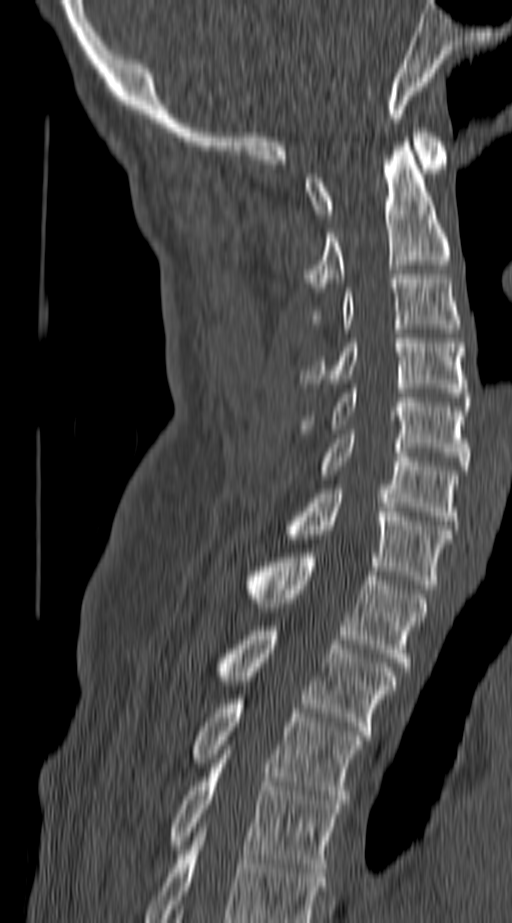 CT spine — sagittal view — bone window — 512x923 px

The highest labeled vertebra in this scan is C1; the lowest is T4.
<vertebrae><v name="T4" x1="170" y1="754" x2="340" y2="872"/><v name="T3" x1="192" y1="699" x2="362" y2="804"/><v name="T2" x1="217" y1="626" x2="395" y2="735"/><v name="T1" x1="246" y1="553" x2="425" y2="671"/><v name="C7" x1="287" y1="489" x2="450" y2="589"/><v name="C6" x1="320" y1="434" x2="457" y2="525"/><v name="C5" x1="301" y1="389" x2="468" y2="470"/><v name="C4" x1="301" y1="334" x2="468" y2="401"/><v name="C3" x1="312" y1="274" x2="461" y2="328"/><v name="C2" x1="305" y1="142" x2="450" y2="292"/><v name="C1" x1="305" y1="128" x2="447" y2="218"/></vertebrae>